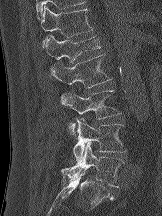 Computed tomography of the spine; sagittal view; 162 mm wide; bone window

Coordinates as <box>x1,y1,x2,y2</box>.
L5: <box>61,142,124,187</box>
L4: <box>73,117,126,161</box>
L3: <box>61,90,121,135</box>
L2: <box>51,54,112,104</box>
L1: <box>43,35,100,62</box>
T12: <box>39,6,92,46</box>